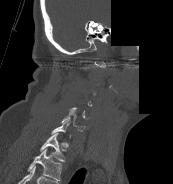
CT, spine; 173 mm across the image; sagittal reformat; part of the image has been replaced by a constant value
In the table, x1 and y1 are a box's top-left corner and x2 and y2 its bottom-right corner, in pixels.
A vertebra is boxed only from the first to the last slice where its cross-section is at least a third of its largest; slices outside that range leave it without a box.
In this scan, the topmost labeled vertebra is C1 and the lowest is T1.
| vertebra | x1 | y1 | x2 | y2 |
|---|---|---|---|---|
| T1 | 40 | 133 | 66 | 161 |
| C7 | 51 | 118 | 71 | 137 |
| C6 | 61 | 111 | 85 | 131 |